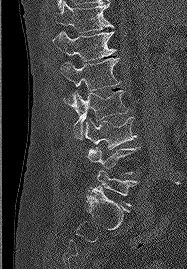
CT, spine; sagittal view; 187x269 px
Each vertebra maps to its box as [x1, y1, x2, y2], the pixel coordinates of its top-left and bottom-right corners.
{"vertebrae":{"L5":[87,170,137,205],"L4":[87,147,141,174],"L3":[84,117,136,149],"L2":[64,90,128,139],"L1":[60,58,121,106],"T12":[52,31,116,61],"T11":[55,1,113,32]}}